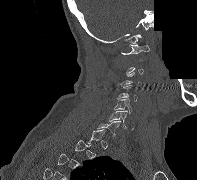 CT · sagittal view · bone-window reconstruction · 197x180 px · part of the image has been replaced by a constant value

Bounding boxes as [x1, y1, x2, y2] in pixel coordinates.
Each vertebra is boxed only on the slices from the first to the last where its cross-section reaches a third of its largest, so a slice outside that range leaves it unboxed.
Vertebra bounding boxes:
- C1: [121, 44, 149, 60]
- C4: [117, 86, 137, 101]
- C5: [114, 99, 132, 113]
- C6: [108, 110, 127, 128]
- C7: [97, 121, 120, 136]